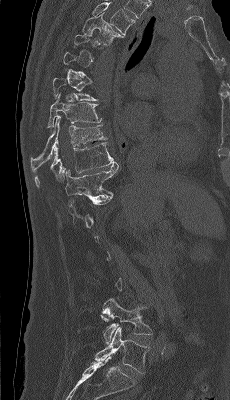
Computed tomography of the spine · the image spans 230 mm across · sagittal view
Each box given as x1,y1,x2,y2.
Each vertebra is boxed only on the slices from the first to the last where its cross-section reaches a third of its largest, so a slice outside that range leaves it unboxed.
Labels in this scan begin with T4 at the top and end with L5 at the bottom.
Vertebra bounding boxes:
- L5: x1=95, y1=327, x2=150, y2=373
- L4: x1=102, y1=298, x2=152, y2=343
- T11: x1=65, y1=163, x2=118, y2=207
- T10: x1=35, y1=142, x2=116, y2=187
- T9: x1=30, y1=116, x2=106, y2=173
- T8: x1=47, y1=92, x2=101, y2=127
- T4: x1=82, y1=13, x2=124, y2=45